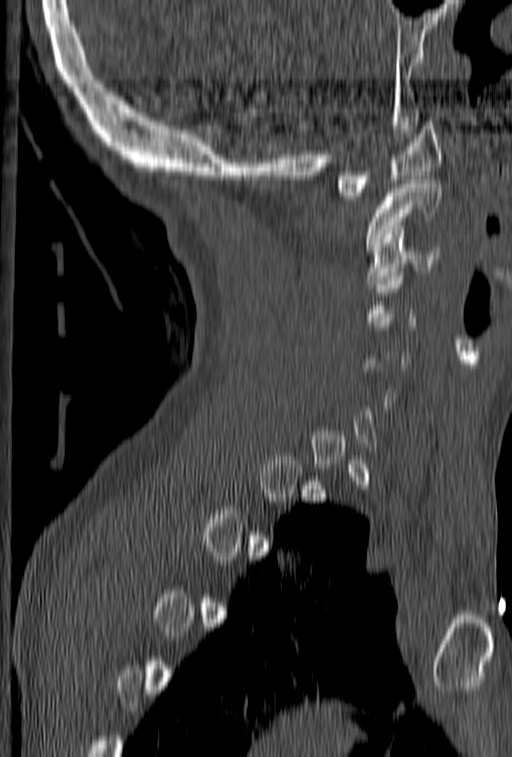

Spine computed tomography. image width 153 mm. sagittal reformat. W/L 1800/400 HU. Boxes: x1:y1:x2:y2 in pixels.
A vertebra gets a box only on the slices from the first to the last where its cross-section is at least a third of its largest; on a slice outside that range it gets none.
Vertebra bounding boxes:
- C3: 366:238:439:283
- C2: 366:180:442:250
- C1: 336:117:442:196